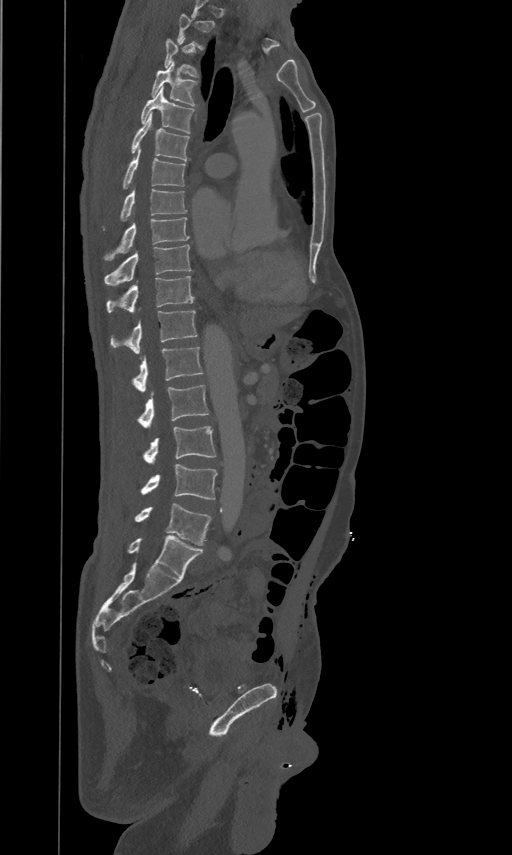
Spine computed tomography. sagittal view

Boxes are (x1, y1, x2, y2) in pixels. Each vertebra is boxed only on the slices from the first to the last where its cross-section reaches a third of its largest, so a slice outside that range leaves it unboxed. The labeled vertebrae in this slice are: T3 at (164, 37, 198, 77), T4 at (152, 62, 197, 105), T5 at (140, 85, 193, 133), T6 at (131, 112, 189, 160), T7 at (123, 146, 185, 188), T8 at (120, 187, 187, 220), T9 at (105, 216, 189, 259), T10 at (105, 244, 190, 284), T11 at (107, 275, 193, 311), T12 at (110, 310, 197, 352), L1 at (131, 346, 202, 391), L2 at (138, 384, 209, 427), L3 at (143, 425, 216, 463), L4 at (141, 464, 216, 500), L5 at (134, 503, 211, 545).